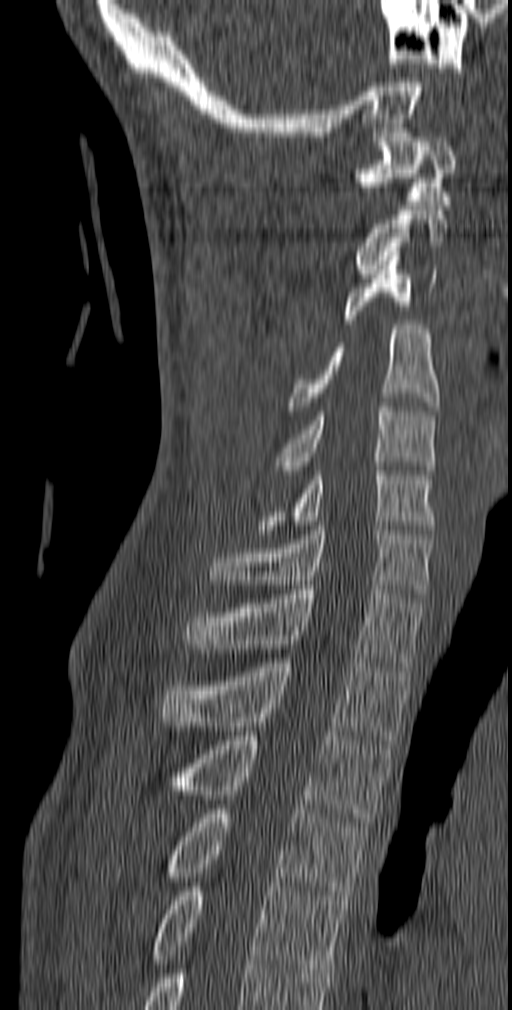
CT, spine; sagittal reformat; bone-window reconstruction
Boxes: x1:y1:x2:y2 in pixels.
C1: 356:133:456:205
C2: 356:210:447:278
C3: 343:251:437:324
C4: 287:325:439:410
C5: 271:407:436:474
C6: 257:466:436:534
C7: 208:526:433:598
T1: 183:585:424:671
T2: 161:658:411:740
T3: 173:731:391:826
T4: 162:809:367:900
T5: 150:882:348:973